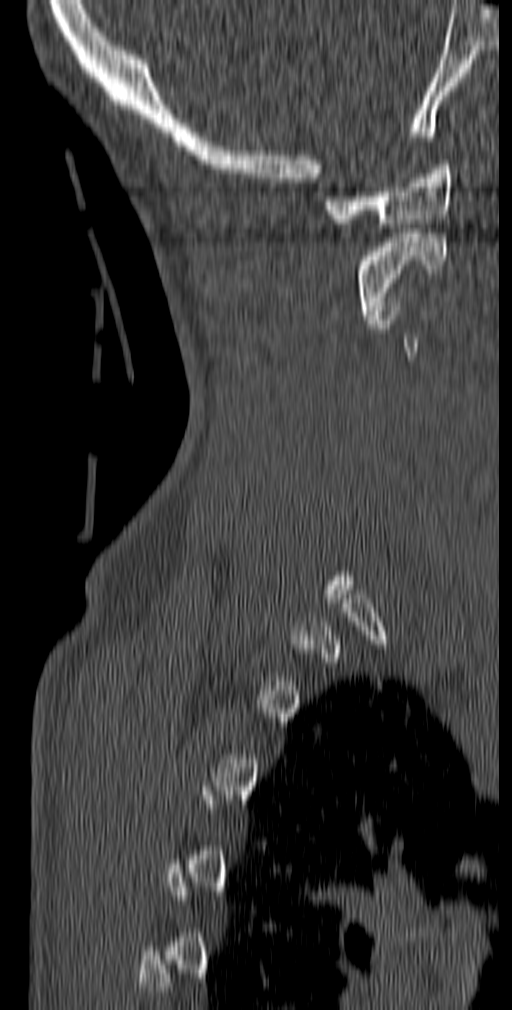 Spine CT · sagittal reformat · bone window
Box edges are left/top/right/bottom in pixels.
Not every vertebra on this slice has a box: a vertebra is boxed only from the first to the last slice where its cross-section is at least a third of its largest, and this slice is outside that range for at least one of them.
Vertebra bounding boxes:
- C1: left=323, top=160, right=454, bottom=228
- C2: left=356, top=233, right=446, bottom=319